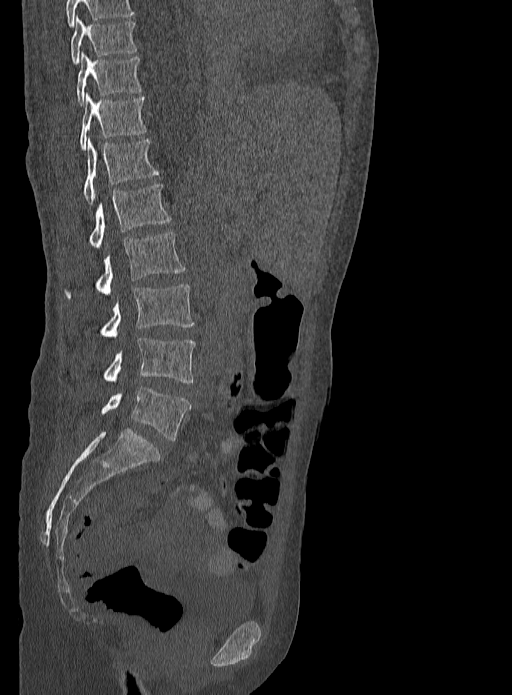

CT. sagittal view. 512x695 px. Each box given as x1,y1,x2,y2.
In this scan, the topmost labeled vertebra is T9 and the lowest is L5.
Vertebra bounding boxes:
- T9: x1=70, y1=17, x2=136, y2=64
- T10: x1=77, y1=52, x2=142, y2=105
- T11: x1=80, y1=92, x2=146, y2=150
- T12: x1=83, y1=138, x2=159, y2=203
- L1: x1=90, y1=185, x2=171, y2=248
- L2: x1=67, y1=232, x2=185, y2=297
- L3: x1=101, y1=284, x2=192, y2=339
- L4: x1=104, y1=337, x2=196, y2=383
- L5: x1=101, y1=386, x2=191, y2=440